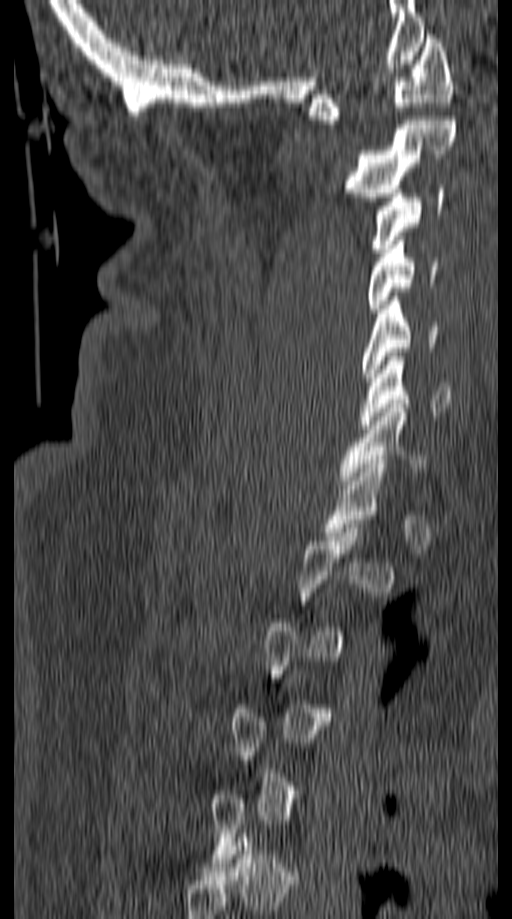 Computed tomography of the spine; sagittal view; 149 mm image width; bone window
Each vertebra maps to its box as [x1, y1, x2, y2], the pixel coordinates of its top-left and bottom-right corners.
A vertebra gets a box only on the slices from the first to the last where its cross-section is at least a third of its largest; on a slice outside that range it gets none.
{"vertebrae":{"C1":[309,34,452,124],"C2":[345,116,457,201],"C3":[372,185,447,252],"C4":[368,241,437,313],"C5":[362,296,438,381],"C6":[361,352,450,429],"C7":[337,404,429,489]}}